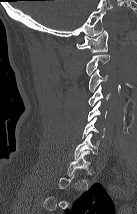 Computed tomography of the spine. sagittal view. 137x214 px. image width 137 mm
Each box given as x1,y1,x2,y2. Each vertebra is boxed only on the slices from the first to the last where its cross-section reaches a third of its largest, so a slice outside that range leaves it unboxed. The labeled vertebrae in this slice are: C1 at x1=76, y1=30, x2=108, y2=52, C2 at x1=86, y1=55, x2=110, y2=75, C3 at x1=89, y1=69, x2=108, y2=92, C4 at x1=88, y1=85, x2=110, y2=106, C5 at x1=88, y1=101, x2=106, y2=121, C6 at x1=82, y1=116, x2=105, y2=138, C7 at x1=74, y1=133, x2=99, y2=158, T1 at x1=67, y1=150, x2=90, y2=176.